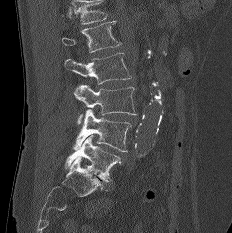

Computed tomography of the spine; sagittal view; bone window. In the table, x1 and y1 are a box's top-left corner and x2 and y2 its bottom-right corner, in pixels.
Where the top of the scan cuts through a vertebra, that vertebra gets no label or box.
| vertebra | x1 | y1 | x2 | y2 |
|---|---|---|---|---|
| L5 | 64 | 135 | 121 | 181 |
| L4 | 73 | 109 | 132 | 151 |
| L3 | 74 | 85 | 136 | 124 |
| L2 | 65 | 52 | 131 | 84 |
| L1 | 62 | 20 | 120 | 52 |